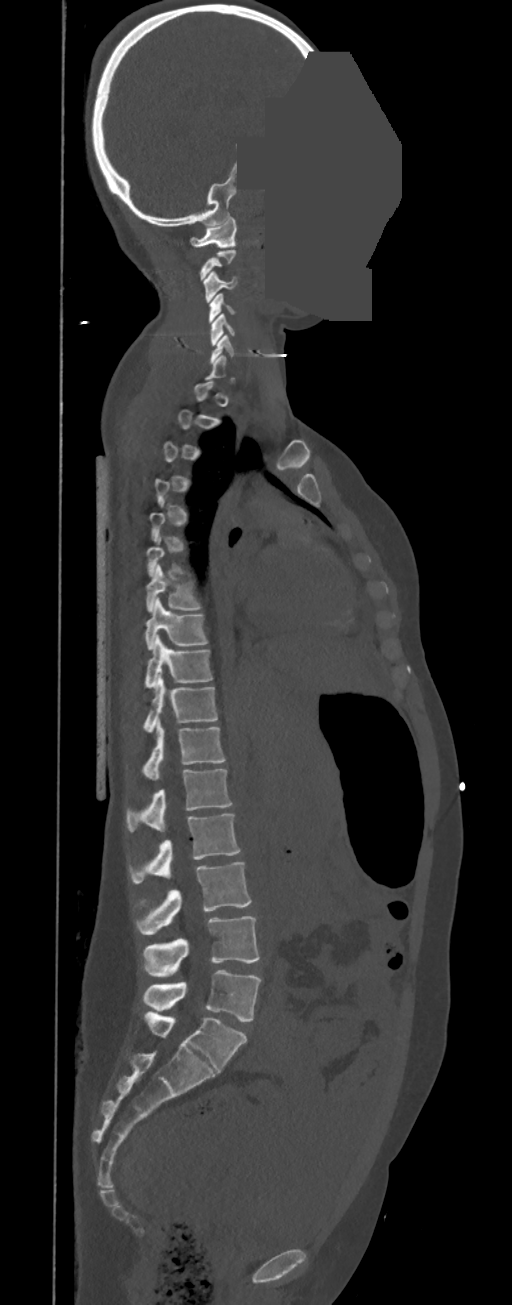

Computed tomography of the spine — sagittal view — a region is masked with a constant gray value. Coordinates as <box>x1,y1,x2,y2</box>. A vertebra gets a box only on the slices from the first to the last where its cross-section is at least a third of its largest; on a slice outside that range it gets none. In these labels the spine has no T12: the thoracic vertebrae end at T11, and L1 comes next. Vertebrae labeled: C1 at <box>190,217,236,248</box>, C3 at <box>203,270,237,302</box>, C4 at <box>209,294,236,323</box>, C5 at <box>210,313,234,345</box>, T7 at <box>146,565,200,611</box>, T8 at <box>145,598,206,649</box>, T9 at <box>145,635,212,688</box>, T10 at <box>145,673,217,732</box>, T11 at <box>143,721,226,780</box>, L1 at <box>127,769,233,831</box>, L2 at <box>131,814,240,882</box>, L3 at <box>137,862,250,934</box>, L4 at <box>143,916,259,977</box>, L5 at <box>143,970,261,1022</box>.